Spine CT · sagittal plane, index 149 · the image spans 357 mm across · scan covers 17 annotated vertebrae
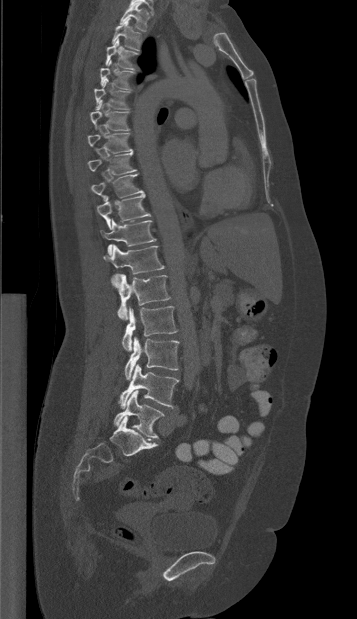

Each vertebra maps to its box as [x1, y1, x2, y2], the pixel coordinates of its top-left and bottom-right corners.
{"vertebrae":{"T1":[120,2,149,31],"T2":[111,18,142,50],"T3":[105,39,138,69],"T4":[100,59,135,89],"T5":[94,79,130,109],"T6":[90,100,129,130],"T7":[87,133,131,152],"T8":[87,151,136,174],"T9":[91,174,143,199],"T10":[96,194,150,229],"T11":[101,219,156,254],"T12":[103,245,166,287],"L1":[115,274,170,319],"L2":[122,306,177,351],"L3":[124,337,179,380],"L4":[118,364,179,408],"L5":[113,390,164,438]}}